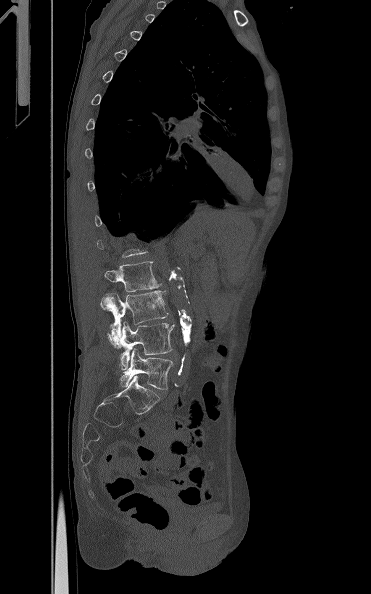 Spine CT; sagittal view

Box edges are left/top/right/bottom in pixels. A vertebra gets a box only on the slices from the first to the last where its cross-section is at least a third of its largest; on a slice outside that range it gets none. 4 vertebrae labeled — L5 at left=120, top=348, right=172, bottom=389; L4 at left=106, top=321, right=174, bottom=369; L3 at left=100, top=290, right=168, bottom=342; L2 at left=104, top=261, right=161, bottom=292.